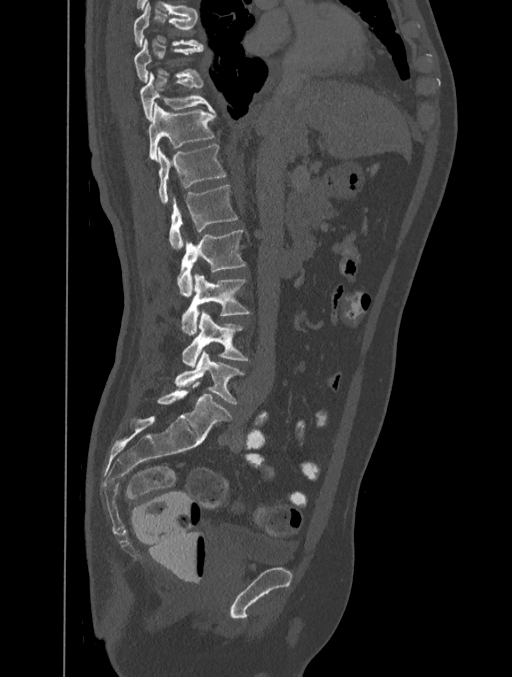 CT, spine · 401 mm wide · sagittal view · bone-window reconstruction

<vertebrae><v name="T8" x1="134" y1="5" x2="202" y2="46"/><v name="T9" x1="134" y1="40" x2="203" y2="81"/><v name="T10" x1="139" y1="72" x2="212" y2="121"/><v name="T11" x1="148" y1="103" x2="216" y2="161"/><v name="T12" x1="158" y1="145" x2="225" y2="204"/><v name="L1" x1="170" y1="185" x2="238" y2="250"/><v name="L2" x1="177" y1="230" x2="245" y2="295"/><v name="L3" x1="181" y1="273" x2="249" y2="333"/><v name="L4" x1="182" y1="309" x2="248" y2="367"/><v name="L5" x1="175" y1="350" x2="243" y2="403"/></vertebrae>